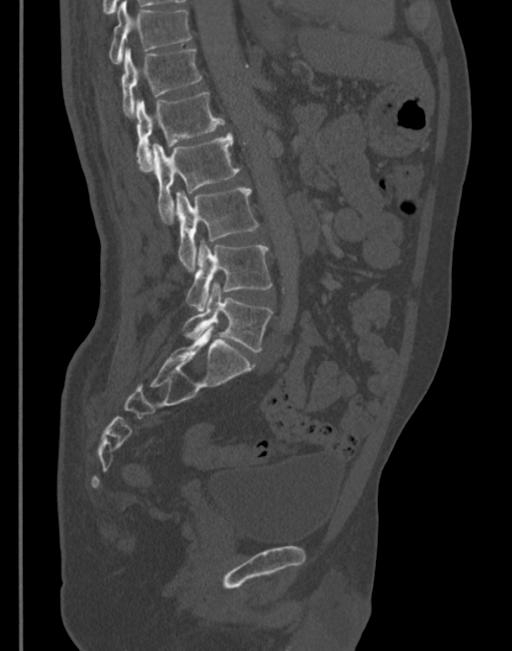
CT spine · sagittal view · Bone window (WL 400, WW 1800) · 345 mm image width
<vertebrae><v name="T11" x1="108" y1="2" x2="192" y2="63"/><v name="T12" x1="121" y1="49" x2="202" y2="117"/><v name="L1" x1="135" y1="91" x2="224" y2="170"/><v name="L2" x1="152" y1="133" x2="239" y2="220"/><v name="L3" x1="175" y1="188" x2="258" y2="270"/><v name="L4" x1="185" y1="241" x2="272" y2="311"/><v name="L5" x1="182" y1="283" x2="272" y2="352"/></vertebrae>